CT, spine. sagittal reformat. W/L 1800/400 HU. scan covers 5 annotated vertebrae
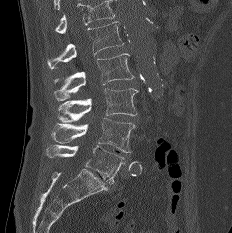

Boxes are given in columns x1, y1, x2, y2, the pixel coordinates of their top-left and bottom-right corners.
Vertebrae that run past the top of the scan are left unlabeled.
| vertebra | x1 | y1 | x2 | y2 |
|---|---|---|---|---|
| L1 | 47 | 21 | 123 | 68 |
| L2 | 53 | 53 | 134 | 100 |
| L3 | 57 | 88 | 137 | 122 |
| L4 | 50 | 118 | 135 | 152 |
| L5 | 46 | 145 | 125 | 184 |